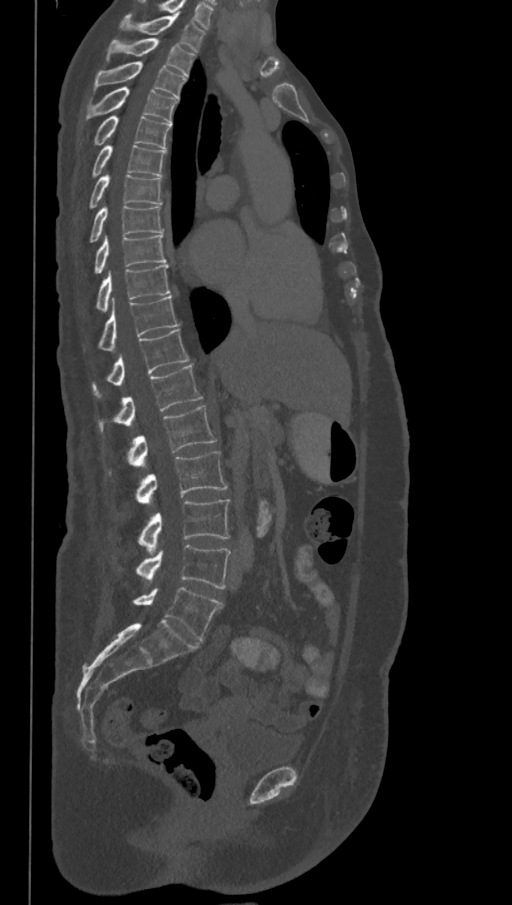 Computed tomography of the spine. sagittal reformat. bone-window reconstruction. the image spans 368 mm across. Coordinates as <box>x1,y1,x2,y2</box>.
In this scan, the topmost labeled vertebra is T1 and the lowest is L6.
The labels name a sixth lumbar vertebra for this spine: L6, after L5.
T1: <box>119,14,206,52</box>
T2: <box>106,38,195,75</box>
T3: <box>93,61,187,99</box>
T4: <box>85,86,177,124</box>
T5: <box>93,115,170,149</box>
T6: <box>92,145,166,177</box>
T7: <box>89,175,162,209</box>
T8: <box>89,205,163,242</box>
T9: <box>93,233,166,273</box>
T10: <box>96,264,170,312</box>
T11: <box>97,296,178,351</box>
T12: <box>92,329,189,397</box>
L1: <box>97,364,202,432</box>
L2: <box>108,406,216,475</box>
L3: <box>135,452,227,502</box>
L4: <box>138,500,230,552</box>
L5: <box>119,545,231,589</box>
L6: <box>133,587,223,640</box>